Computed tomography of the spine — Sagittal slice 263/512
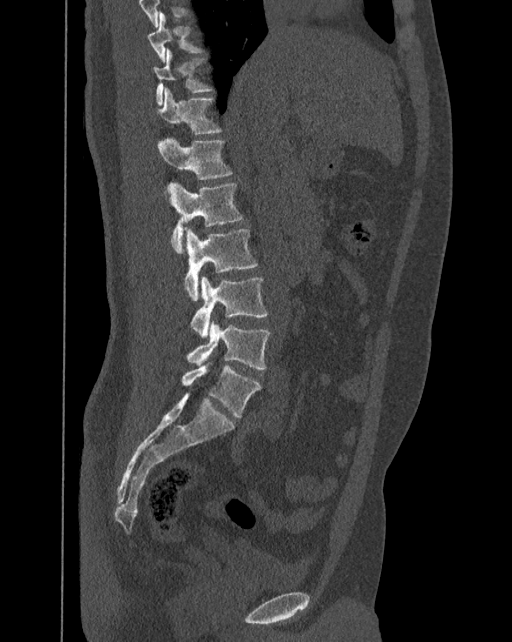 Boxes are (x1, y1, x2, y2) in pixels.
In these labels the spine has an L6, a sixth lumbar vertebra below L5.
T10: (147, 11, 205, 62)
T11: (154, 48, 213, 105)
T12: (159, 87, 222, 134)
L1: (158, 136, 233, 180)
L2: (170, 182, 243, 253)
L3: (184, 228, 257, 300)
L4: (191, 277, 268, 338)
L5: (185, 322, 271, 369)
L6: (181, 364, 261, 417)